Spine CT; Sagittal slice 244/512; bone window
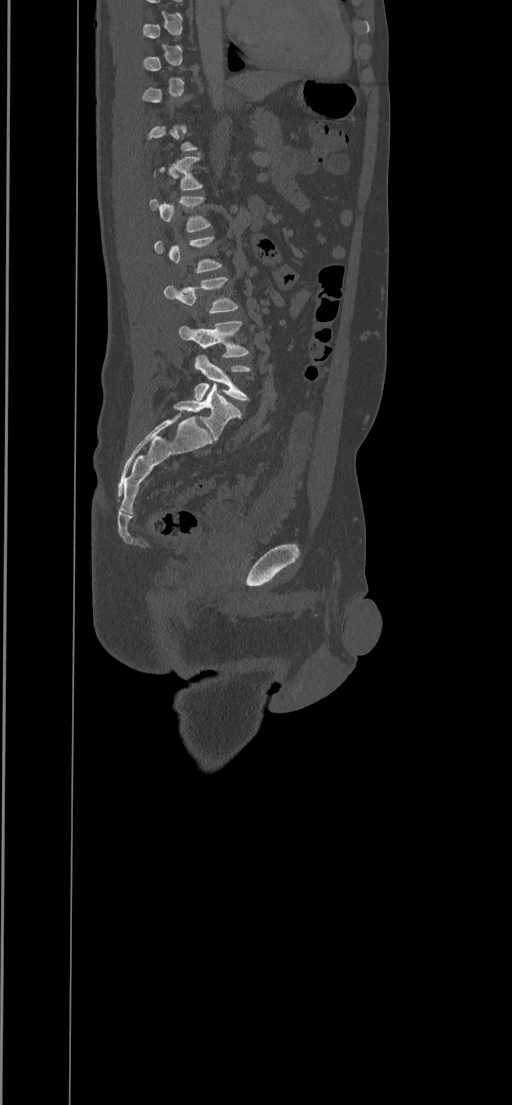
Bounding boxes as [x1, y1, x2, y2] in pixel coordinates. Each vertebra is boxed only on the slices from the first to the last where its cross-section reaches a third of its largest, so a slice outside that range leaves it unboxed. Vertebrae labeled: T12 at [153, 156, 202, 190], L1 at [150, 195, 211, 232], L3 at [164, 277, 238, 313], L4 at [179, 321, 249, 357], L5 at [194, 355, 251, 400].